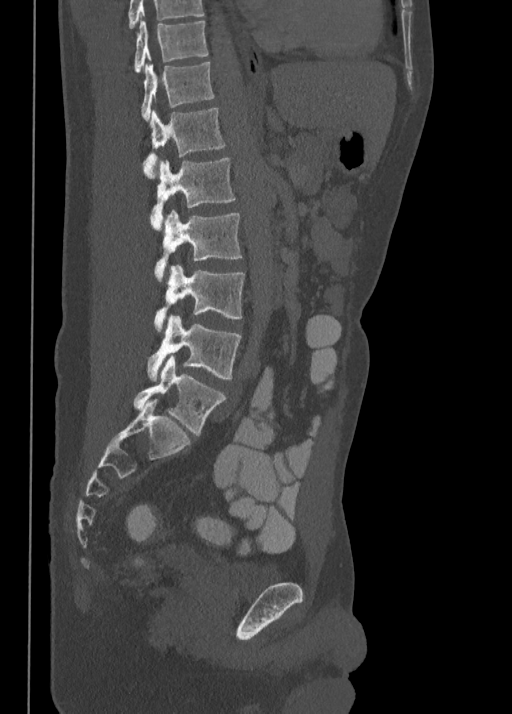
CT spine. sagittal view. 512x714 px. 350 mm image width
Boxes: x1:y1:x2:y2 in pixels.
The highest labeled vertebra in this scan is T10; the lowest is L5.
Vertebra bounding boxes:
- L5: 134:355:226:435
- L4: 148:315:242:381
- L3: 153:265:245:332
- L2: 155:211:242:281
- L1: 150:158:236:229
- T12: 143:108:226:179
- T11: 141:61:214:119
- T10: 133:20:208:71